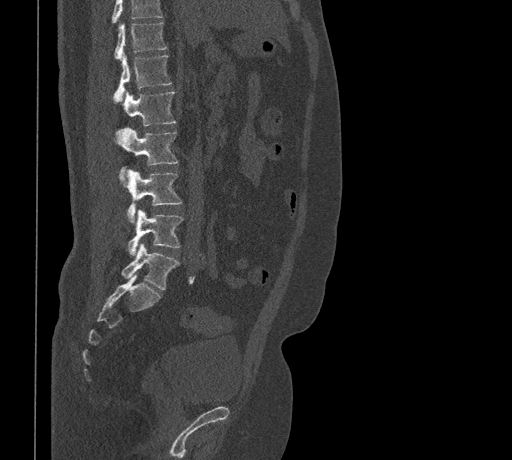
Spine computed tomography. sagittal view. Boxes: x1 y1 x2 y2 (pixel coords, space-separated). Vertebrae that run past the top of the scan are left unlabeled. 7 vertebrae labeled — T11 at 114 22 166 60; T12 at 113 53 171 101; L1 at 122 90 175 126; L2 at 116 128 177 165; L3 at 127 170 182 222; L4 at 127 209 183 255; L5 at 121 243 179 289.